Spine computed tomography — sagittal view — 512x778 px — 18 vertebrae labeled in this scan — image width 447 mm
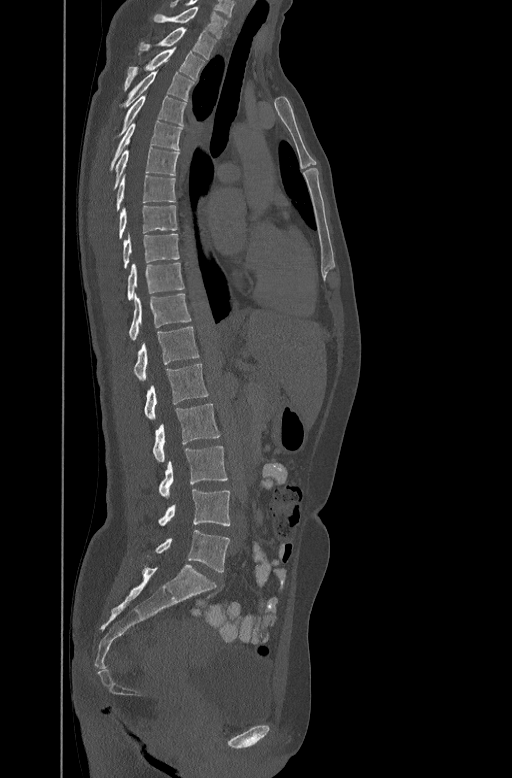

Boxes: x1 y1 x2 y2 (pixel coords, space-separated). Vertebrae labeled: C7 at 153 5 228 37, T1 at 140 27 217 58, T2 at 124 46 204 89, T3 at 119 68 194 108, T4 at 112 94 187 139, T5 at 109 120 182 169, T6 at 113 146 179 189, T7 at 114 175 175 211, T8 at 118 204 178 238, T9 at 122 232 179 268, T10 at 127 261 184 300, T11 at 128 292 191 339, T12 at 134 325 199 378, L1 at 144 363 209 419, L2 at 152 404 220 461, L3 at 158 446 227 496, L4 at 158 489 230 526, L5 at 147 530 230 572.